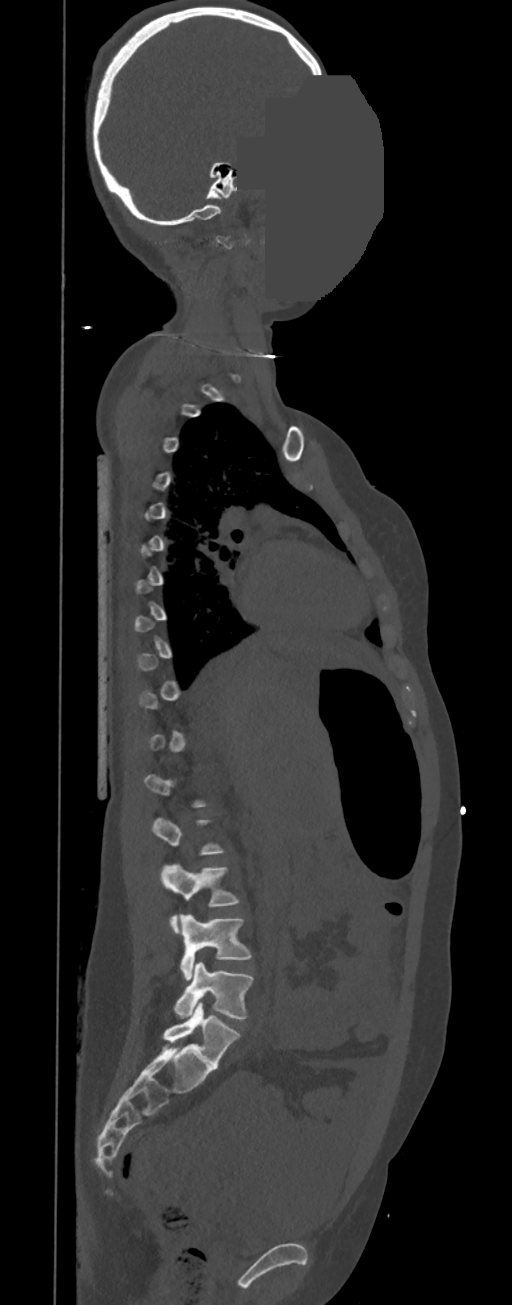
CT, spine; the image spans 350 mm across; sagittal reformat; bone window; part of the image is a flat gray fill, not anatomy
A vertebra gets a box only on the slices from the first to the last where its cross-section is at least a third of its largest; on a slice outside that range it gets none.
<vertebrae><v name="L3" x1="161" y1="864" x2="239" y2="932"/><v name="L4" x1="179" y1="914" x2="250" y2="980"/><v name="L5" x1="174" y1="961" x2="253" y2="1018"/></vertebrae>